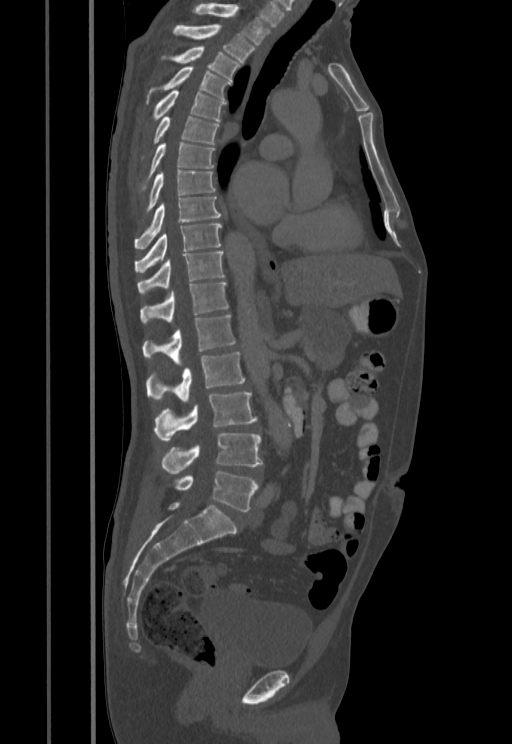

Spine computed tomography — sagittal reformat

Each vertebra maps to its box as [x1, y1, x2, y2], the pixel coordinates of its top-left and bottom-right corners.
{"vertebrae":{"L5":[171,471,258,511],"L4":[162,433,262,473],"L3":[153,392,257,441],"L2":[146,352,245,401],"L1":[142,314,235,363],"T12":[141,281,228,324],"T11":[137,252,224,294],"T10":[135,224,222,273],"T9":[134,196,221,249],"T8":[145,170,215,214],"T7":[139,142,214,190],"T6":[141,117,219,159],"T5":[151,90,225,121],"T4":[148,66,231,99],"T3":[173,46,240,79],"T2":[173,24,254,62],"T1":[193,3,270,44]}}